Spine CT. Sagittal slice 292/512. Bone window (WL 400, WW 1800). 512x808 px. scan covers 17 annotated vertebrae. the image spans 412 mm across
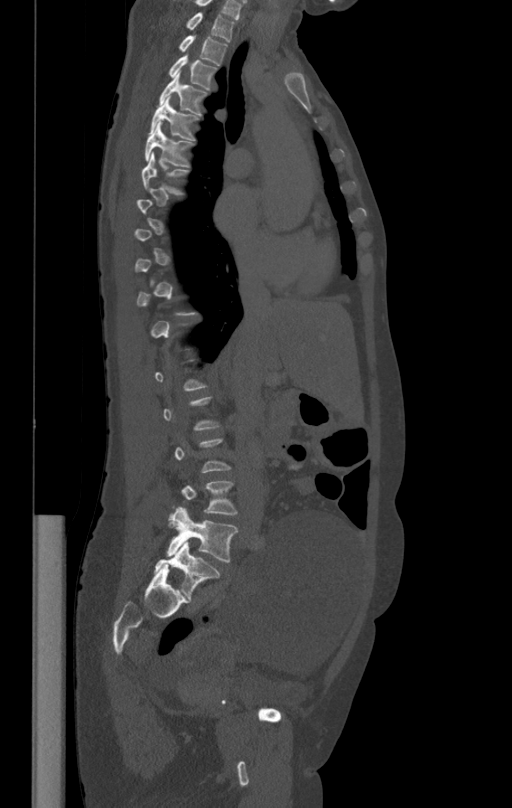 Each box given as x1,y1,x2,y2.
Not every vertebra on this slice has a box: a vertebra is boxed only from the first to the last slice where its cross-section is at least a third of its largest, and this slice is outside that range for at least one of them.
Vertebra bounding boxes:
- T1: x1=186, y1=12, x2=235, y2=42
- T2: x1=179, y1=36, x2=228, y2=65
- T3: x1=169, y1=55, x2=216, y2=90
- T4: x1=159, y1=74, x2=206, y2=114
- T5: x1=150, y1=96, x2=198, y2=139
- T6: x1=145, y1=122, x2=193, y2=167
- T7: x1=142, y1=152, x2=188, y2=194
- L4: x1=181, y1=481, x2=237, y2=515
- L5: x1=166, y1=507, x2=237, y2=562